CT, spine — sagittal view — W/L 1800/400 HU
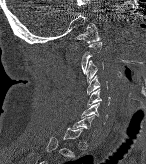 Box edges are left/top/right/bottom in pixels.
A vertebra is boxed only from the first to the last slice where its cross-section is at least a third of its largest; slices outside that range leave it without a box.
C1: left=76, top=23, right=99, bottom=43
C3: left=85, top=60, right=103, bottom=82
C4: left=87, top=75, right=107, bottom=94
C5: left=87, top=89, right=110, bottom=107
C6: left=81, top=102, right=107, bottom=124